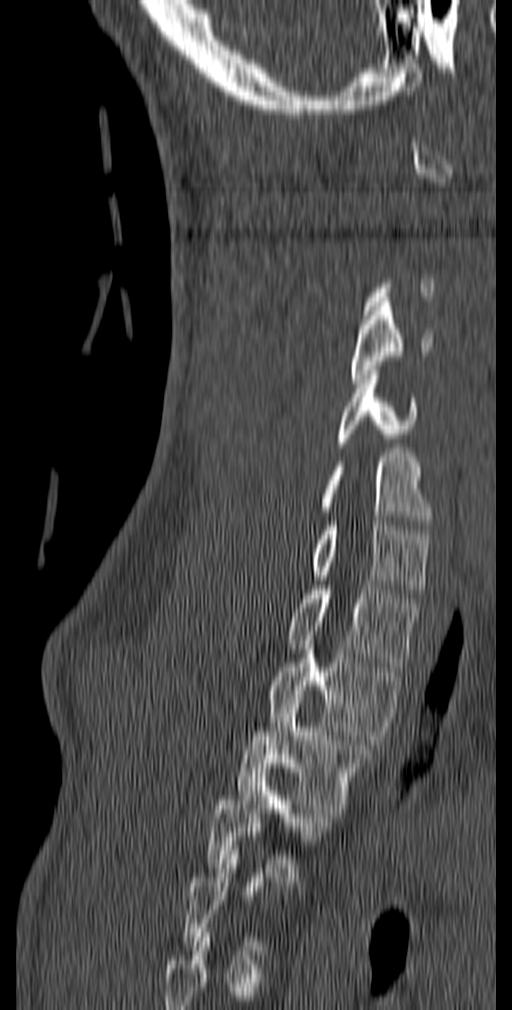
CT, spine — sagittal view — W/L 1800/400 HU — 512x1010 px — 140 mm image width

Boxes below are [x1, y1, x2, y2] in pixels.
A vertebra gets a box only on the slices from the first to the last where its cross-section is at least a third of its largest; on a slice outside that range it gets none.
{"vertebrae":{"C4":[351,302,433,383],"C5":[334,366,417,447],"C6":[318,453,432,525],"C7":[312,521,431,593],"T1":[287,585,420,666],"T2":[268,645,404,740],"T3":[237,695,373,817],"T4":[206,773,331,881]}}